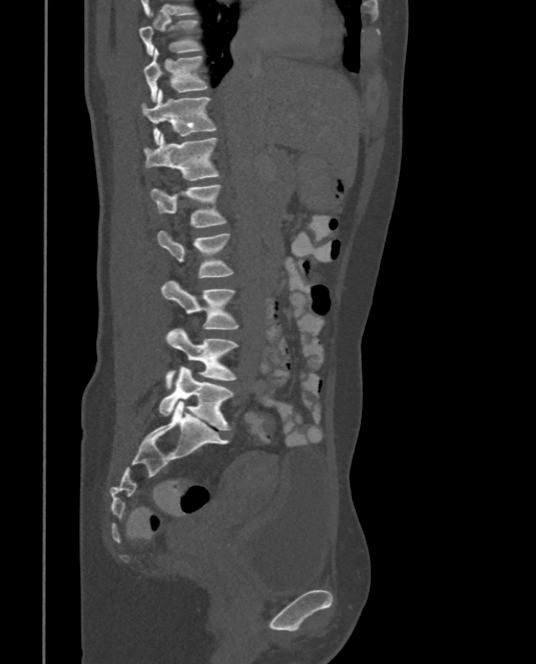
CT — sagittal reformat — Bone window (WL 400, WW 1800)
Each box given as x1,y1,x2,y2. In this scan, the topmost labeled vertebra is T9 and the lowest is L5. Vertebrae labeled: T9 at x1=138, y1=20, x2=200, y2=55, T10 at x1=142, y1=48, x2=207, y2=102, T11 at x1=141, y1=90, x2=216, y2=144, T12 at x1=144, y1=133, x2=219, y2=180, L1 at x1=152, y1=184, x2=226, y2=227, L2 at x1=157, y1=230, x2=233, y2=277, L3 at x1=161, y1=280, x2=238, y2=329, L4 at x1=165, y1=328, x2=238, y2=386, L5 at x1=158, y1=366, x2=233, y2=430.